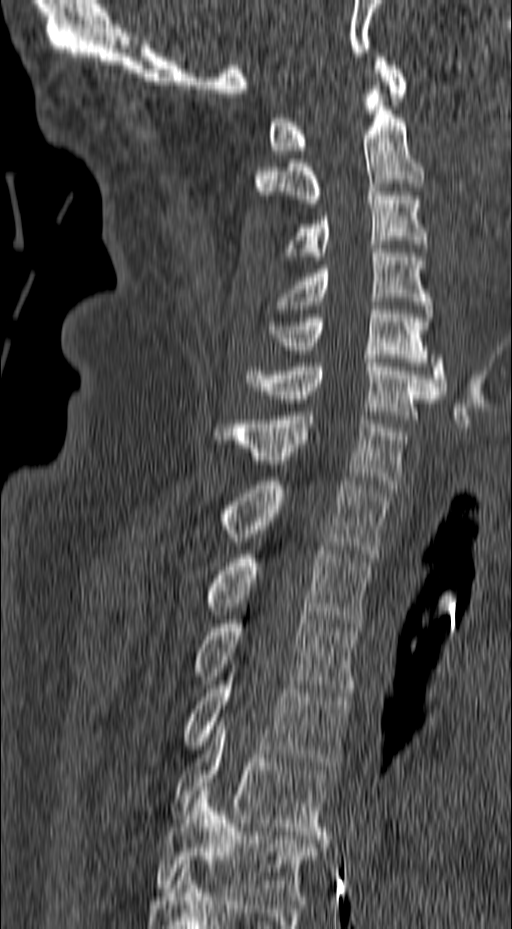 Spine CT; sagittal reformat
<vertebrae><v name="T6" x1="154" y1="791" x2="320" y2="904"/><v name="T5" x1="170" y1="717" x2="333" y2="839"/><v name="T4" x1="182" y1="669" x2="349" y2="769"/><v name="T3" x1="194" y1="616" x2="359" y2="696"/><v name="T2" x1="207" y1="546" x2="372" y2="627"/><v name="T1" x1="220" y1="477" x2="388" y2="557"/><v name="C7" x1="214" y1="412" x2="408" y2="488"/><v name="C6" x1="244" y1="359" x2="438" y2="419"/><v name="C5" x1="269" y1="306" x2="448" y2="394"/><v name="C4" x1="274" y1="245" x2="433" y2="317"/><v name="C3" x1="283" y1="188" x2="431" y2="260"/><v name="C2" x1="254" y1="82" x2="424" y2="203"/><v name="C1" x1="268" y1="53" x2="407" y2="154"/></vertebrae>